CT, spine. sagittal plane, index 333. 512x963 px
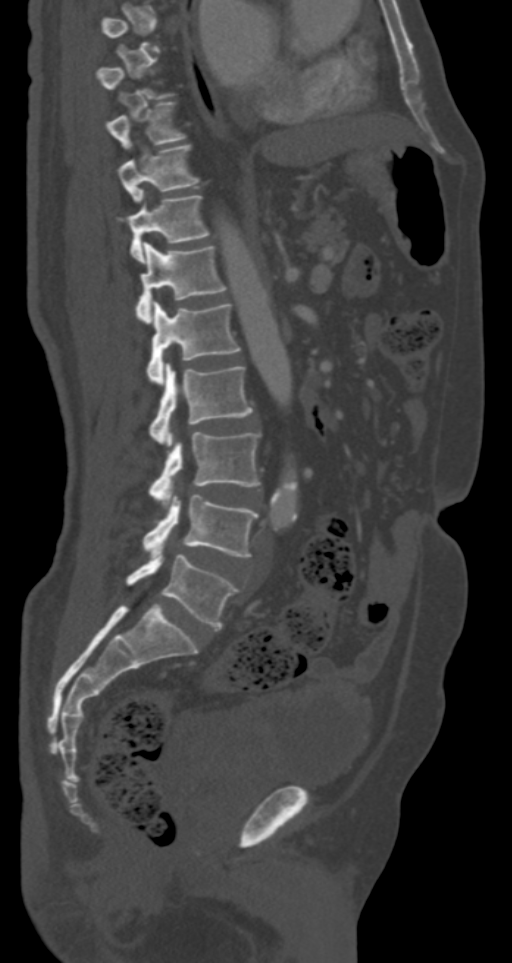

Box edges are left/top/right/bottom in pixels.
A vertebra gets a box only on the slices from the first to the last where its cross-section is at least a third of its largest; on a slice outside that range it gets none.
T9: left=105, top=101, right=184, bottom=149
T10: left=117, top=144, right=198, bottom=200
T11: left=117, top=196, right=209, bottom=261
T12: left=135, top=242, right=227, bottom=321
L1: left=146, top=301, right=239, bottom=384
L2: left=149, top=363, right=252, bottom=446
L3: left=149, top=431, right=261, bottom=505
L4: left=142, top=495, right=257, bottom=557
L5: left=126, top=554, right=239, bottom=628